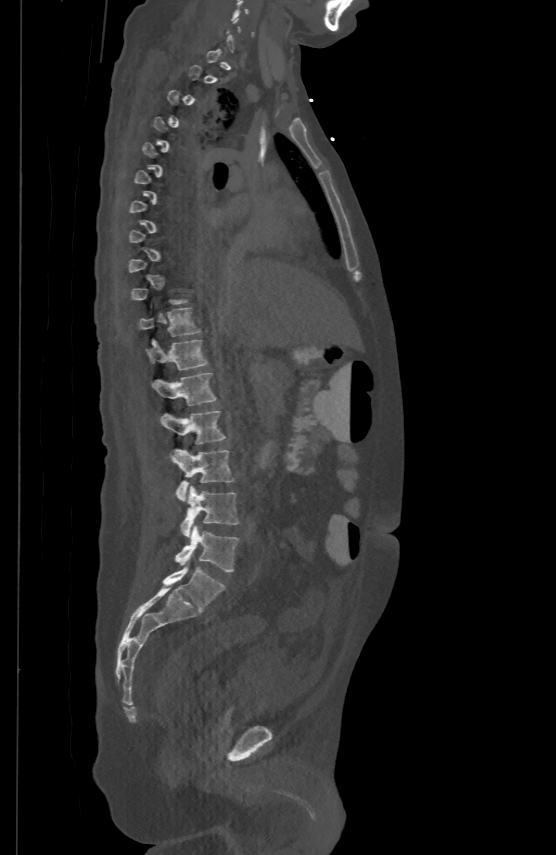
CT; sagittal reformat

A vertebra is boxed only from the first to the last slice where its cross-section is at least a third of its largest; slices outside that range leave it without a box.
<vertebrae><v name="T11" x1="139" y1="307" x2="200" y2="335"/><v name="T12" x1="145" y1="339" x2="207" y2="369"/><v name="L1" x1="152" y1="372" x2="216" y2="404"/><v name="L2" x1="160" y1="410" x2="226" y2="444"/><v name="L3" x1="171" y1="450" x2="233" y2="501"/><v name="L4" x1="180" y1="486" x2="239" y2="536"/><v name="L5" x1="175" y1="525" x2="239" y2="572"/></vertebrae>